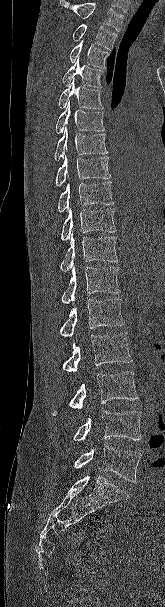 Spine computed tomography · sagittal view
In the table, x1 and y1 are a box's top-left corner and x2 and y2 its bottom-right corner, in pixels.
No box is given to a vertebra that the top edge of the scan cuts off.
| vertebra | x1 | y1 | x2 | y2 |
|---|---|---|---|---|
| T2 | 72 | 24 | 117 | 50 |
| T3 | 69 | 39 | 109 | 68 |
| T4 | 62 | 57 | 103 | 87 |
| T5 | 58 | 79 | 103 | 109 |
| T6 | 55 | 101 | 104 | 133 |
| T7 | 54 | 126 | 107 | 160 |
| T8 | 55 | 155 | 110 | 186 |
| T9 | 57 | 181 | 113 | 213 |
| T10 | 61 | 208 | 116 | 240 |
| T11 | 60 | 232 | 118 | 271 |
| T12 | 61 | 265 | 120 | 305 |
| L1 | 59 | 299 | 124 | 337 |
| L2 | 62 | 332 | 132 | 372 |
| L3 | 52 | 371 | 138 | 415 |
| L4 | 73 | 411 | 141 | 441 |
| L5 | 74 | 446 | 141 | 482 |